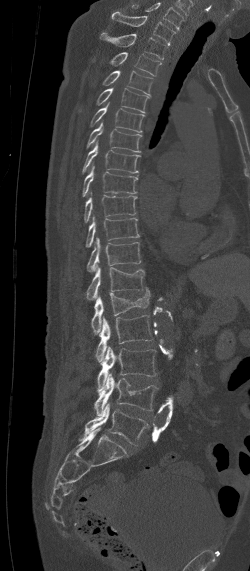
Spine computed tomography — sagittal view
The highest labeled vertebra in this scan is C7; the lowest is L5.
<vertebrae><v name="L5" x1="77" y1="403" x2="147" y2="445"/><v name="L4" x1="93" y1="373" x2="158" y2="416"/><v name="L3" x1="97" y1="346" x2="156" y2="392"/><v name="L2" x1="96" y1="314" x2="152" y2="361"/><v name="L1" x1="91" y1="287" x2="150" y2="333"/><v name="T12" x1="84" y1="267" x2="146" y2="299"/><v name="T11" x1="86" y1="238" x2="140" y2="271"/><v name="T10" x1="85" y1="217" x2="140" y2="247"/><v name="T9" x1="84" y1="195" x2="136" y2="222"/><v name="T8" x1="83" y1="165" x2="138" y2="196"/><v name="T7" x1="82" y1="141" x2="140" y2="175"/><v name="T6" x1="86" y1="122" x2="141" y2="152"/><v name="T5" x1="89" y1="101" x2="144" y2="132"/><v name="T4" x1="97" y1="88" x2="149" y2="113"/><v name="T3" x1="103" y1="70" x2="152" y2="96"/><v name="T2" x1="110" y1="52" x2="161" y2="76"/><v name="T1" x1="100" y1="32" x2="168" y2="59"/><v name="C7" x1="111" y1="11" x2="175" y2="45"/></vertebrae>